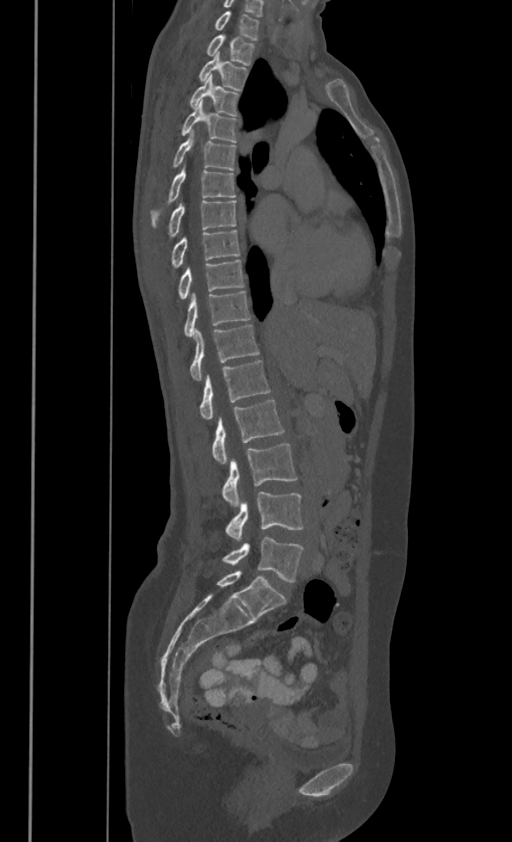

Computed tomography of the spine · sagittal view · 512x842 px

Each box is [x1, y1, x2, y2] in pixels: top-left corner, then bottom-right corner.
In these labels the thoracic vertebrae end at T11, so L1 follows T11.
{"vertebrae":{"L5":[223,537,303,582],"L4":[225,492,303,540],"L3":[221,444,296,505],"L2":[212,399,284,465],"L1":[199,359,269,418],"T11":[190,324,259,380],"T10":[183,290,250,336],"T9":[178,258,243,299],"T8":[171,229,239,266],"T7":[167,198,236,237],"T6":[151,167,235,226],"T5":[172,130,235,169],"T4":[182,100,236,141],"T3":[190,74,239,114],"T2":[199,53,247,89],"T1":[205,35,254,63],"C7":[215,11,259,38]}}